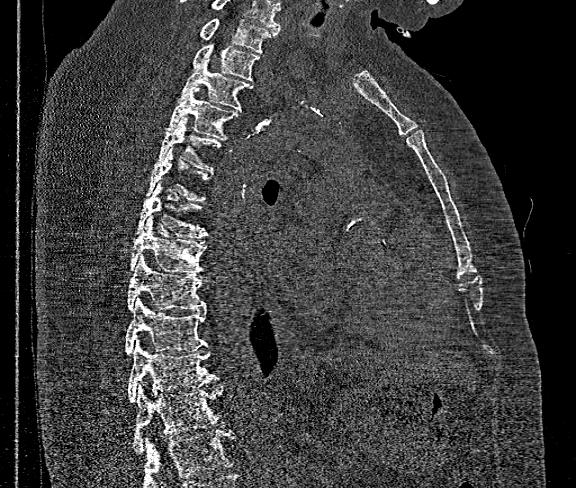

CT spine. sagittal view

Coordinates as <box>x1,y1,x2,y2</box>. Where the bottom of the scan cuts through a vertebra, that vertebra gets no label or box. Labels in this scan begin with T1 at the top and end with T12 at the bottom. The labeled vertebrae in this slice are: T1 at <box>200,18,276,52</box>, T2 at <box>191,44,260,81</box>, T3 at <box>179,58,253,110</box>, T4 at <box>165,87,239,140</box>, T5 at <box>159,117,221,171</box>, T6 at <box>145,148,213,201</box>, T7 at <box>136,182,208,238</box>, T8 at <box>129,216,205,273</box>, T9 at <box>128,255,205,311</box>, T10 at <box>125,297,207,355</box>, T11 at <box>128,341,218,403</box>, T12 at <box>133,386,225,454</box>.